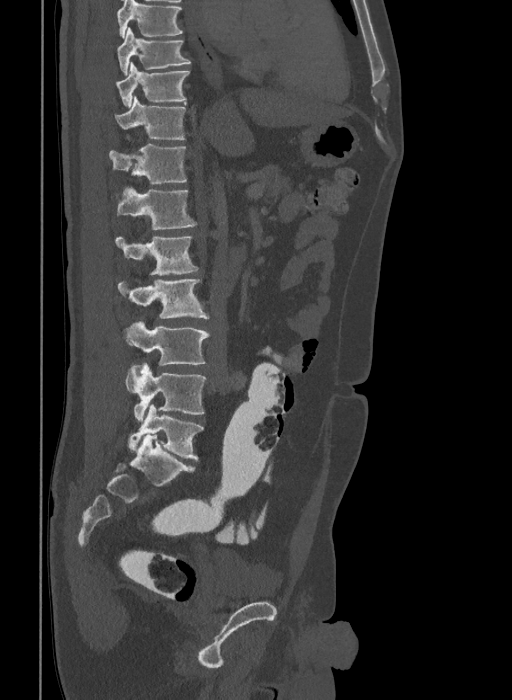
Computed tomography of the spine. sagittal view. the image spans 409 mm across. 512x700 px. Boxes are (x1, y1, x2, y2) in pixels. Labels in this scan begin with T9 at the top and end with L6 at the bottom. In these labels the spine has an L6, a sixth lumbar vertebra below L5. 10 vertebrae labeled — T9 at (118, 27, 190, 76); T10 at (116, 62, 189, 107); T11 at (115, 96, 185, 139); T12 at (109, 144, 187, 183); L1 at (114, 186, 198, 229); L2 at (115, 237, 198, 274); L3 at (118, 279, 209, 319); L4 at (122, 321, 209, 366); L5 at (125, 363, 205, 420); L6 at (128, 404, 204, 460).